Spine CT; Sagittal slice 96/145; 146 mm image width
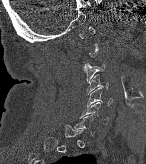 Box edges are left/top/right/bottom in pixels.
Each vertebra is boxed only on the slices from the first to the last where its cross-section reaches a third of its largest, so a slice outside that range leaves it unboxed.
C6: left=80, top=102, right=108, bottom=125
C5: left=87, top=87, right=112, bottom=107
C4: left=87, top=75, right=108, bottom=94
C3: left=84, top=62, right=105, bottom=81